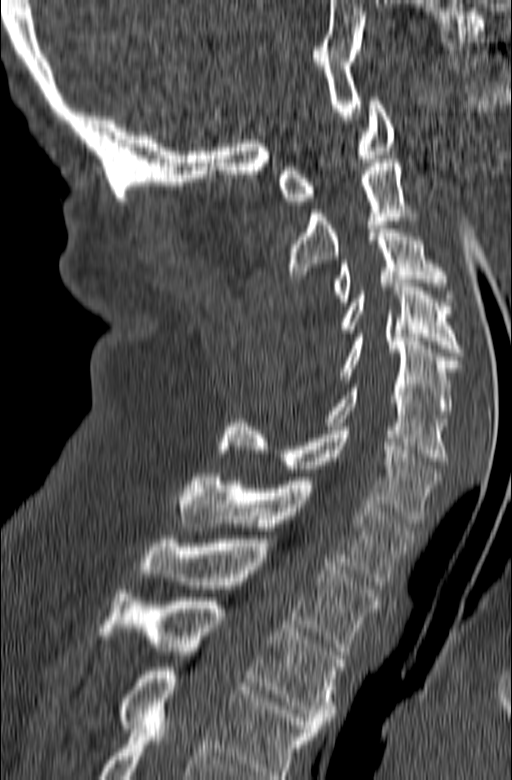
Spine CT — sagittal view — 165 mm image width
Each box given as x1,y1,x2,y2. The highest labeled vertebra in this scan is C1; the lowest is T3. 10 vertebrae labeled — C1 at x1=279, y1=97, x2=394, y2=205; C2 at x1=287, y1=159, x2=421, y2=278; C3 at x1=333, y1=225, x2=454, y2=305; C4 at x1=339, y1=283, x2=462, y2=356; C5 at x1=339, y1=334, x2=459, y2=418; C6 at x1=324, y1=384, x2=447, y2=461; C7 at x1=218, y1=419, x2=439, y2=523; T1 at x1=178, y1=473, x2=416, y2=585; T2 at x1=139, y1=539, x2=379, y2=655; T3 at x1=98, y1=590, x2=344, y2=728.